CT spine; sagittal reformat
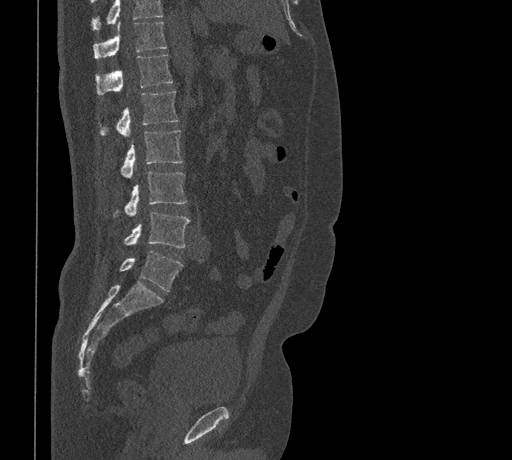
Boxes below are [x1, y1, x2, y2] in pixels.
A vertebra cut off by the top edge of the scan is not labeled and has no box.
{"vertebrae":{"T11":[93,22,166,58],"T12":[95,55,172,95],"L1":[100,90,177,136],"L2":[120,130,182,178],"L3":[113,171,186,216],"L4":[125,212,190,247],"L5":[119,251,182,291]}}